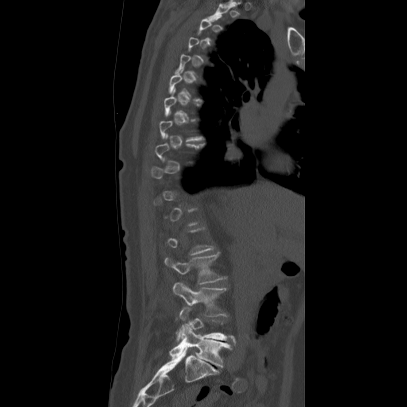

Spine CT · sagittal view · the image is 407 mm wide
Boxes are given in columns x1, y1, x2, y2, the pixel coordinates of their top-left and bottom-right corners.
Each vertebra is boxed only on the slices from the first to the last where its cross-section reaches a third of its largest, so a slice outside that range leaves it unboxed.
| vertebra | x1 | y1 | x2 | y2 |
|---|---|---|---|---|
| L5 | 168 | 322 | 230 | 367 |
| L4 | 175 | 306 | 235 | 343 |
| L3 | 172 | 282 | 227 | 320 |
| L2 | 163 | 252 | 225 | 296 |
| T7 | 162 | 86 | 201 | 120 |
| T6 | 168 | 65 | 202 | 100 |